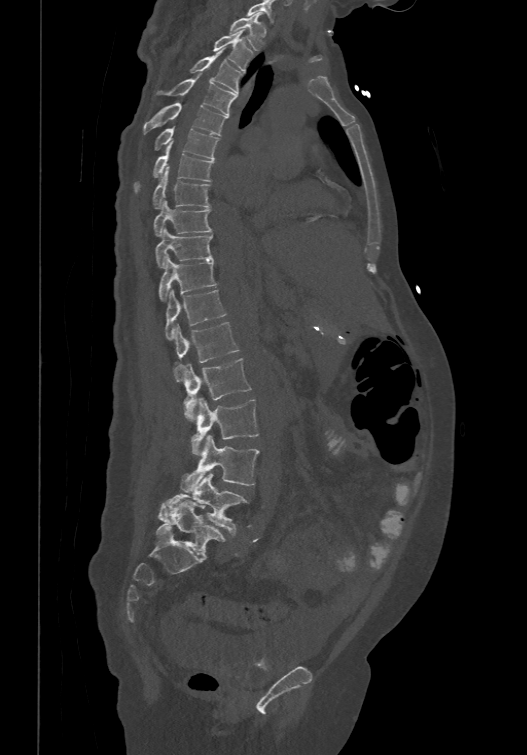

Spine CT; sagittal view; Bone window (WL 400, WW 1800); 527x755 px

Box edges are left/top/right/bottom in pixels. In this scan, the topmost labeled vertebra is T1 and the lowest is L6. In these labels the spine has an L6, a sixth lumbar vertebra below L5. 18 vertebrae labeled — L6 at left=156, top=500, right=225, bottom=557; L5 at left=157, top=473, right=248, bottom=533; L4 at left=181, top=435, right=259, bottom=492; L3 at left=191, top=397, right=259, bottom=455; L2 at left=182, top=357, right=251, bottom=421; L1 at left=173, top=321, right=239, bottom=381; T12 at left=165, top=288, right=225, bottom=339; T11 at left=158, top=255, right=217, bottom=300; T10 at left=155, top=227, right=212, bottom=266; T9 at left=153, top=200, right=211, bottom=235; T8 at left=152, top=167, right=210, bottom=207; T7 at left=134, top=142, right=213, bottom=191; T6 at left=154, top=126, right=219, bottom=157; T5 at left=143, top=102, right=227, bottom=134; T4 at left=156, top=73, right=236, bottom=114; T3 at left=190, top=48, right=241, bottom=92; T2 at left=213, top=30, right=253, bottom=70; T1 at left=230, top=12, right=262, bottom=51.